CT, spine — sagittal reformat — 17 vertebrae labeled in this scan
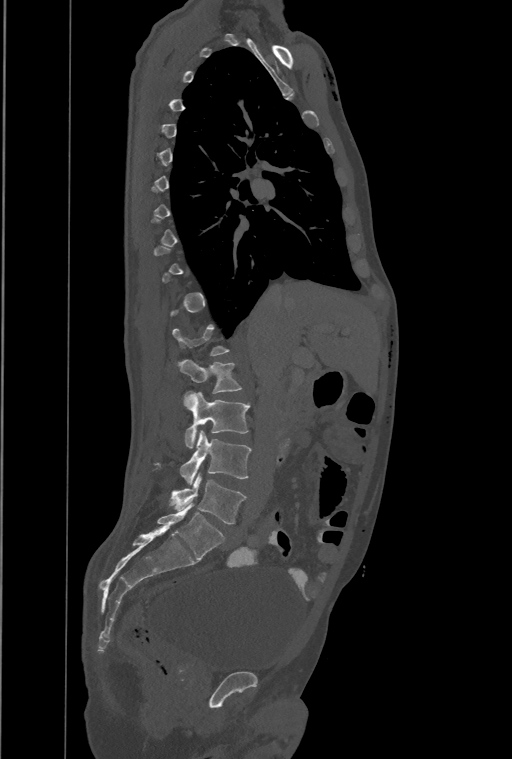 Boxes are (x1, y1, x2, y2) in pixels.
Each vertebra is boxed only on the slices from the first to the last where its cross-section reaches a third of its largest, so a slice outside that range leaves it unboxed.
This scan's labels start at T1 at the top and end at L4 at the bottom.
Vertebra bounding boxes:
- L4: (170, 474, 245, 524)
- L3: (181, 431, 252, 485)
- L2: (184, 391, 249, 447)
- L1: (177, 359, 241, 393)